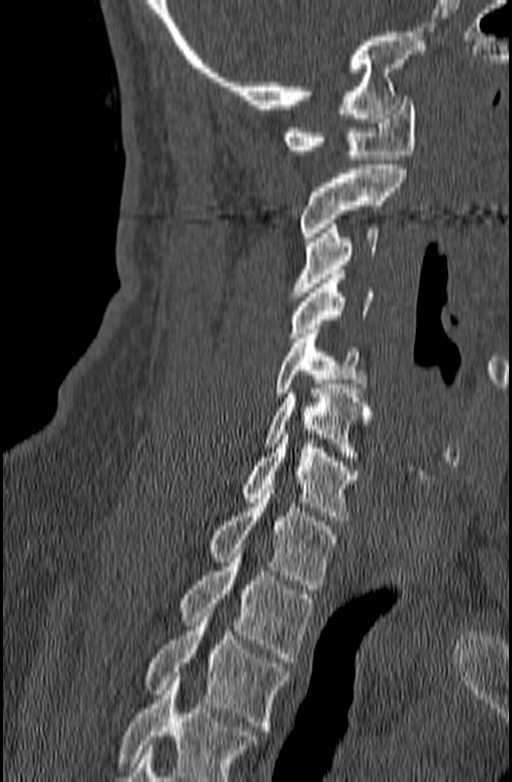 CT, spine · sagittal view
Boxes below are [x1, y1, x2, y2] in pixels.
Vertebrae that run past the bottom of the scan are left unlabeled.
{"vertebrae":{"C1":[282,96,416,159],"C2":[298,165,406,241],"C3":[290,224,377,296],"C4":[289,274,373,342],"C5":[276,329,367,397],"C6":[264,384,372,461],"C7":[243,434,359,520],"T1":[210,489,337,589],"T2":[181,549,314,662],"T3":[145,608,289,730]}}